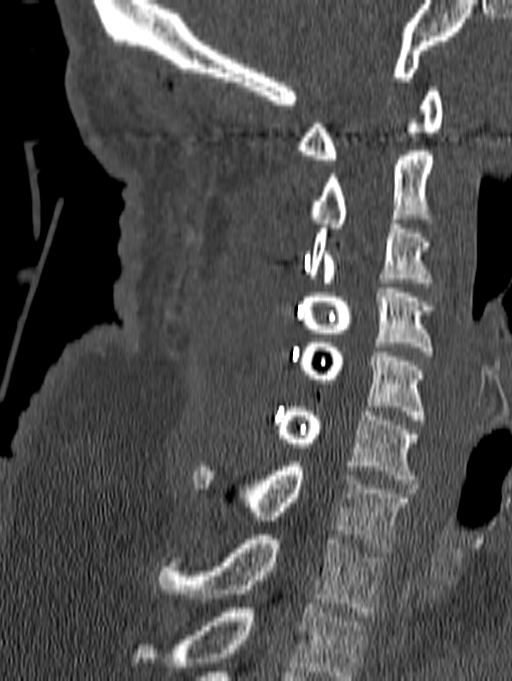

Spine CT. sagittal reformat

Columns x1, y1, x2, y2 give each box's top-left and bottom-right pixels.
Labels in this scan begin with C1 at the top and end with T1 at the bottom.
| vertebra | x1 | y1 | x2 | y2 |
|---|---|---|---|---|
| T1 | 159 | 535 | 384 | 616 |
| C7 | 195 | 462 | 410 | 552 |
| C6 | 276 | 407 | 417 | 484 |
| C5 | 301 | 338 | 425 | 424 |
| C4 | 303 | 288 | 433 | 356 |
| C3 | 309 | 219 | 432 | 282 |
| C2 | 309 | 151 | 433 | 232 |
| C1 | 297 | 87 | 442 | 164 |